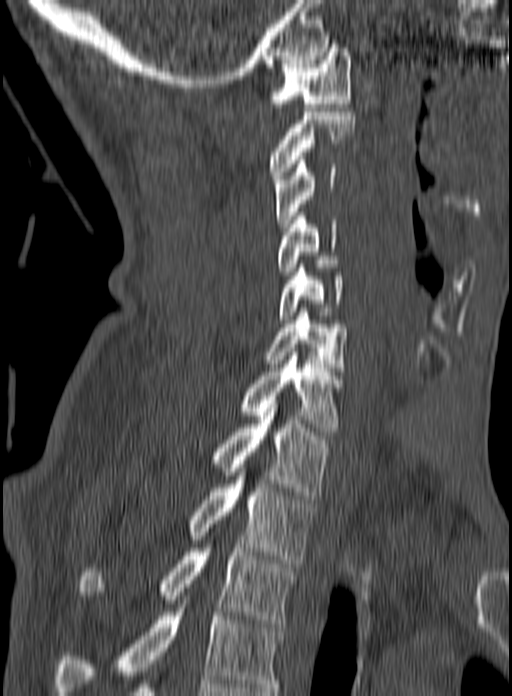

CT spine; sagittal view; 512x696 px

Bounding boxes as [x1, y1, x2, y2] in pixel coordinates.
The highest labeled vertebra in this scan is C1; the lowest is T3.
Vertebra bounding boxes:
- C1: [269, 48, 351, 111]
- C2: [269, 112, 355, 179]
- C3: [274, 156, 336, 231]
- C4: [278, 212, 336, 275]
- C5: [279, 264, 343, 319]
- C6: [263, 308, 347, 367]
- C7: [241, 356, 342, 431]
- T1: [212, 400, 333, 499]
- T2: [190, 464, 314, 563]
- T3: [78, 544, 295, 627]